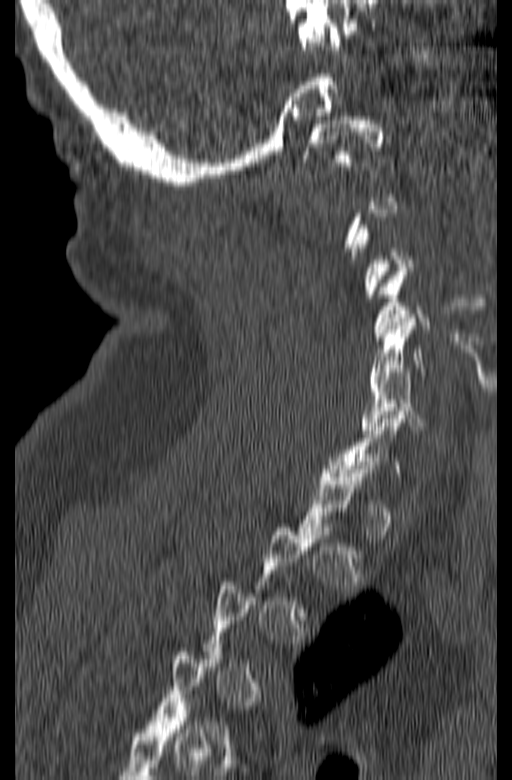

CT; sagittal view; bone-window reconstruction; 512x780 px
A vertebra is boxed only from the first to the last slice where its cross-section is at least a third of its largest; slices outside that range leave it without a box.
<vertebrae><v name="C1" x1="302" y1="116" x2="383" y2="166"/><v name="C4" x1="373" y1="268" x2="428" y2="340"/><v name="C5" x1="369" y1="318" x2="428" y2="387"/><v name="C6" x1="360" y1="368" x2="422" y2="433"/></vertebrae>